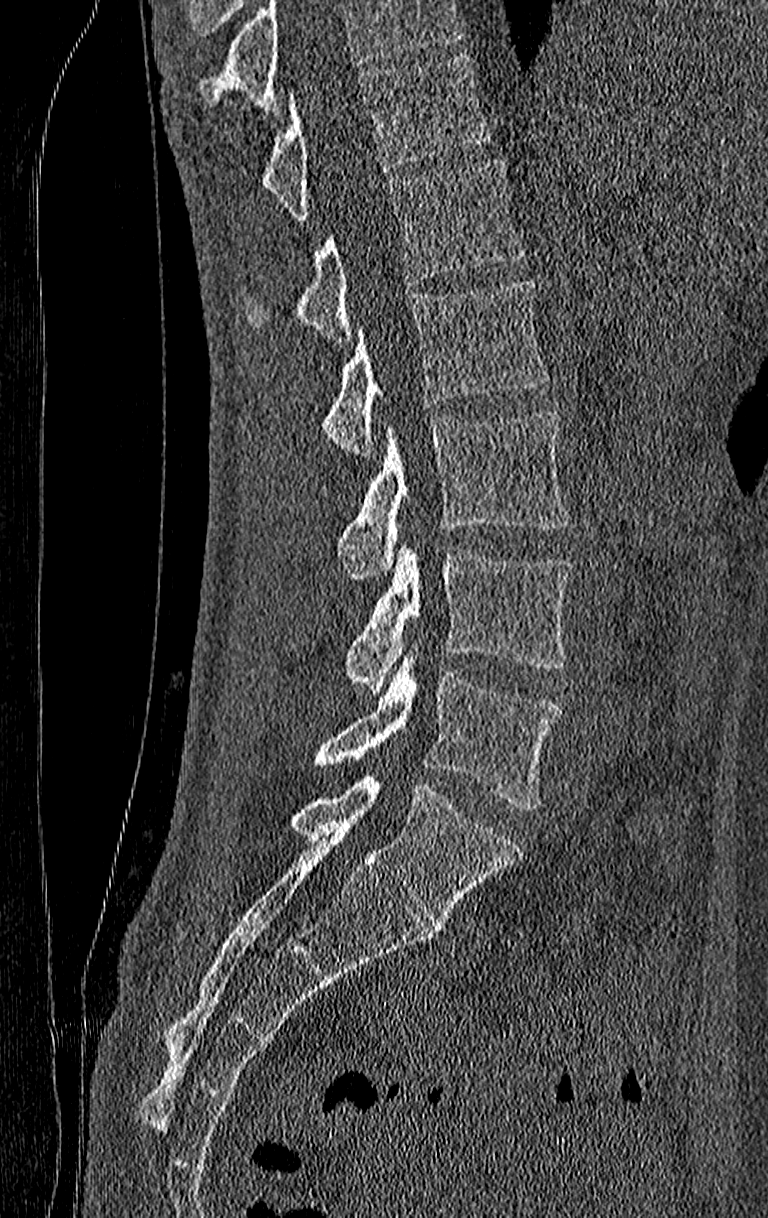 CT; sagittal view; Bone window (WL 400, WW 1800); the image spans 210 mm across

Each box given as x1,y1,x2,y2.
Where the top of the scan cuts through a vertebra, that vertebra gets no label or box.
This scan's labels start at T11 at the top and end at L4 at the bottom.
T11: x1=258, y1=56, x2=488, y2=220
T12: x1=244, y1=158, x2=524, y2=340
L1: x1=320, y1=278, x2=550, y2=457
L2: x1=335, y1=410, x2=568, y2=578
L3: x1=346, y1=546, x2=572, y2=692
L4: x1=310, y1=655, x2=561, y2=812